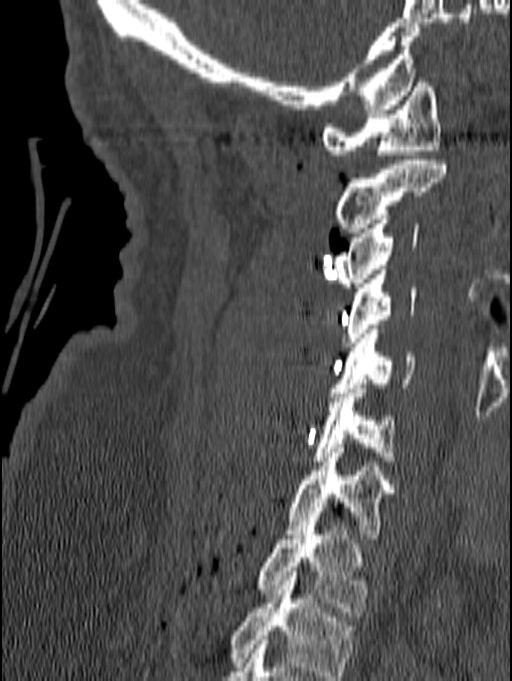

CT spine · sagittal reformat · the image is 140 mm wide · bone window · 512x681 px

Boxes: x1:y1:x2:y2 in pixels.
In this scan, the topmost labeled vertebra is C1 and the lowest is T1.
Vertebra bounding boxes:
- C1: 321:78:440:159
- C2: 334:160:446:237
- C3: 334:215:418:287
- C4: 342:270:416:346
- C5: 330:325:415:397
- C6: 312:384:397:465
- C7: 284:448:395:538
- T1: 257:517:367:616